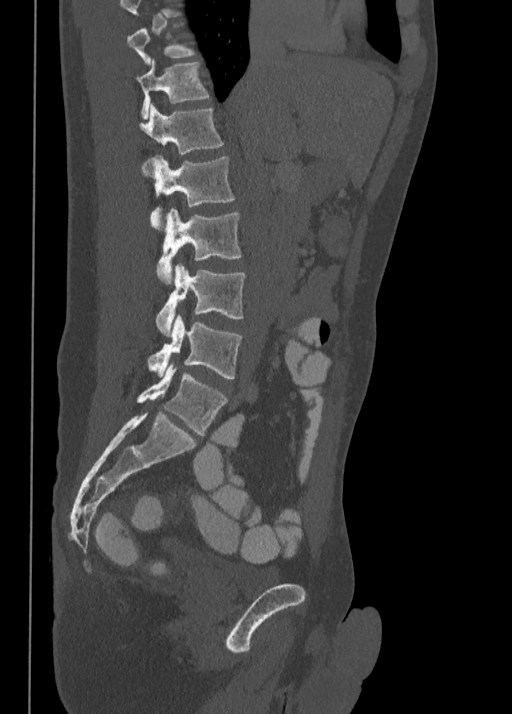 CT spine; image 350 mm wide; sagittal view
Box edges are left/top/right/bottom in pixels.
Not every vertebra on this slice has a box: a vertebra is boxed only from the first to the last slice where its cross-section is at least a third of its largest, and this slice is outside that range for at least one of them.
| vertebra | x1 | y1 | x2 | y2 |
|---|---|---|---|---|
| T11 | 137 | 59 | 209 | 119 |
| T12 | 140 | 103 | 224 | 175 |
| L1 | 150 | 155 | 234 | 229 |
| L2 | 156 | 208 | 242 | 283 |
| L3 | 155 | 265 | 245 | 335 |
| L4 | 148 | 315 | 242 | 379 |
| L5 | 137 | 362 | 227 | 435 |